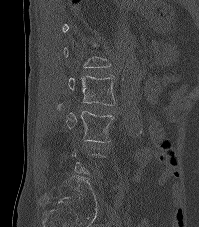 CT. sagittal view. the image spans 199 mm across. Boxes are (x1, y1, x2, y2) in pixels.
A vertebra is boxed only from the first to the last slice where its cross-section is at least a third of its largest; slices outside that range leave it without a box.
L2: (68, 75, 115, 105)
L3: (56, 104, 113, 142)